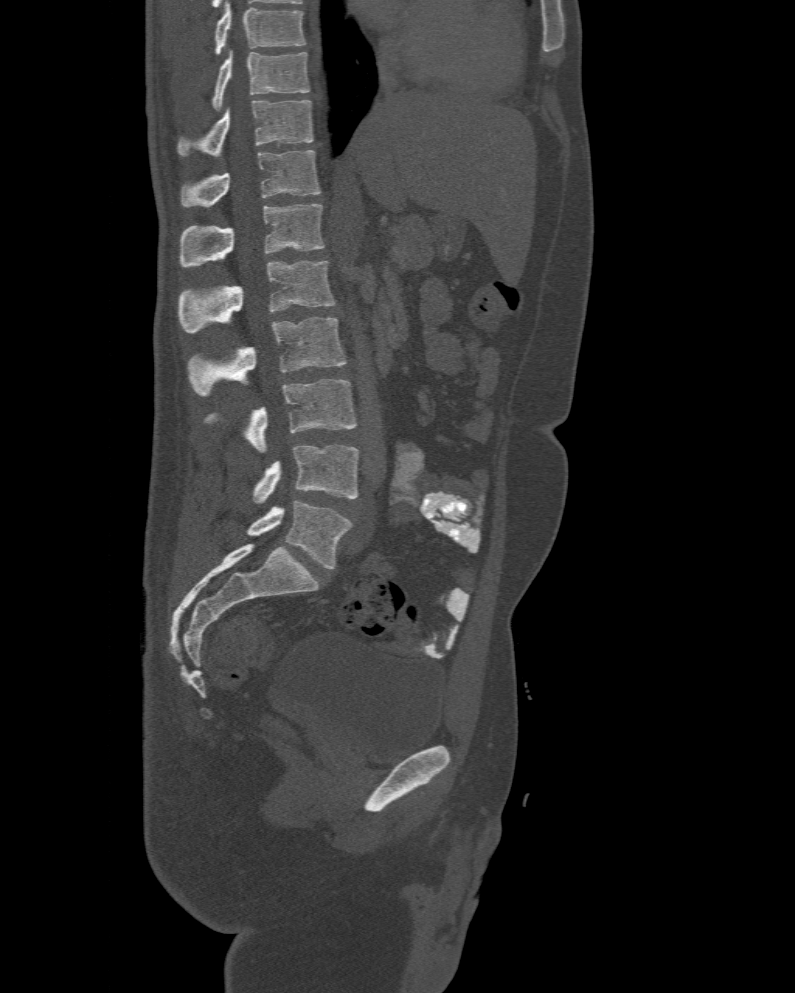

CT; sagittal view

Boxes: x1 y1 x2 y2 (pixel coords, space-separated). This scan's labels start at T10 at the top and end at L6 at the bottom. These labels give the spine a sixth lumbar vertebra, L6, below L5. Vertebrae labeled: L6 at 247 500 353 569, L5 at 253 445 359 502, L4 at 203 378 358 451, L3 at 186 317 345 397, L2 at 179 260 336 332, L1 at 179 203 324 267, T12 at 180 150 320 206, T11 at 179 100 313 157, T10 at 211 48 310 109.